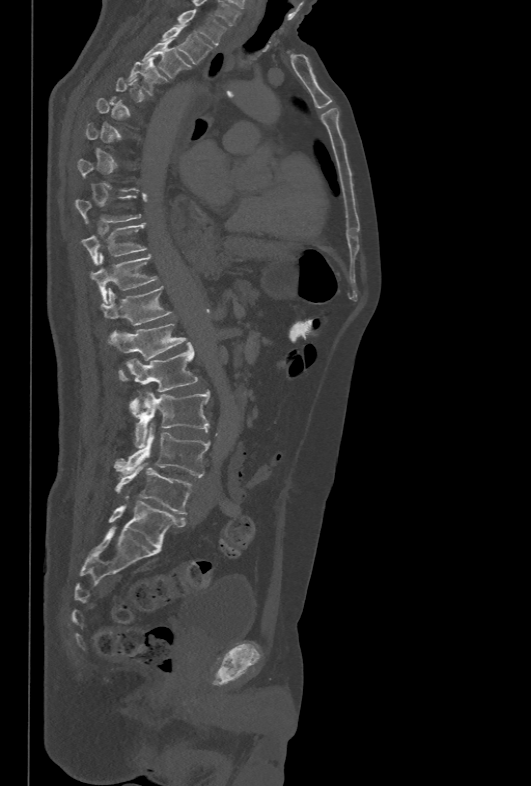

Computed tomography of the spine. sagittal view. 531x786 px
Box values are [left, top, right, bottom] in pixels.
A vertebra is boxed only from the first to the last slice where its cross-section is at least a third of its largest; slices outside that range leave it without a box.
{"vertebrae":{"T1":[175,8,225,45],"T2":[160,26,213,64],"T3":[142,38,188,78],"T4":[127,60,167,95],"T9":[76,195,141,224],"T10":[82,223,146,265],"T11":[90,253,158,303],"T12":[100,286,173,325],"L1":[108,323,187,381],"L2":[127,342,199,415],"L3":[136,390,209,446],"L4":[113,423,209,476],"L5":[115,463,192,514]}}